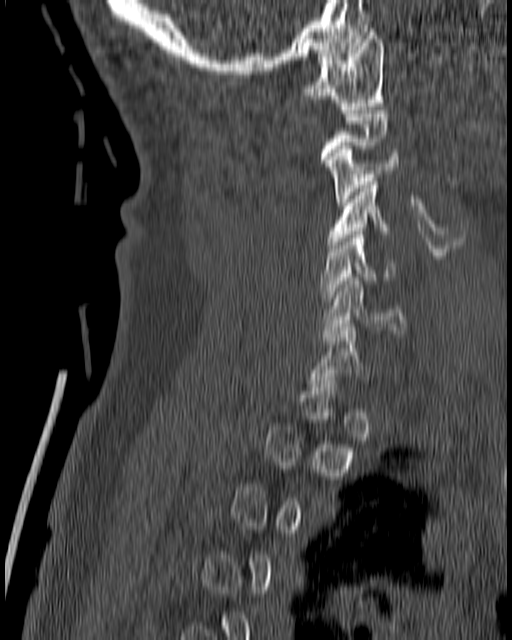

CT spine — sagittal reformat
Box edges are left/top/right/bottom in pixels.
Each vertebra is boxed only on the slices from the first to the last where its cross-section reaches a third of its largest, so a slice outside that range leaves it unboxed.
C7: left=308, top=324, right=367, bottom=387
C6: left=321, top=277, right=406, bottom=337
C5: left=319, top=231, right=393, bottom=301
C4: left=327, top=178, right=390, bottom=248
C3: left=325, top=146, right=399, bottom=205
C1: left=301, top=28, right=384, bottom=109